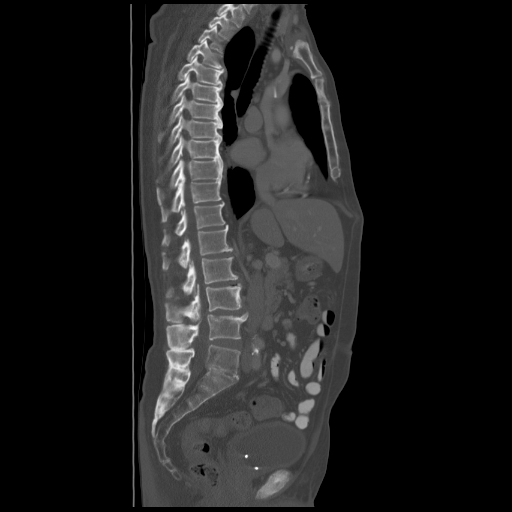 Spine computed tomography; sagittal view; bone window; 512x512 px
Boxes: x1:y1:x2:y2 in pixels.
In this scan, the topmost labeled vertebra is T2 and the lowest is L5.
Vertebra bounding boxes:
- L5: 165:345:240:377
- L4: 166:313:247:349
- L3: 165:283:241:322
- L2: 166:257:238:298
- L1: 162:225:233:269
- T12: 162:201:224:246
- T11: 161:176:221:222
- T10: 157:159:223:203
- T9: 168:136:221:170
- T8: 168:114:222:149
- T7: 158:95:223:141
- T6: 171:74:222:103
- T5: 178:56:223:85
- T4: 187:40:224:70
- T3: 198:26:223:52
- T2: 209:14:233:38